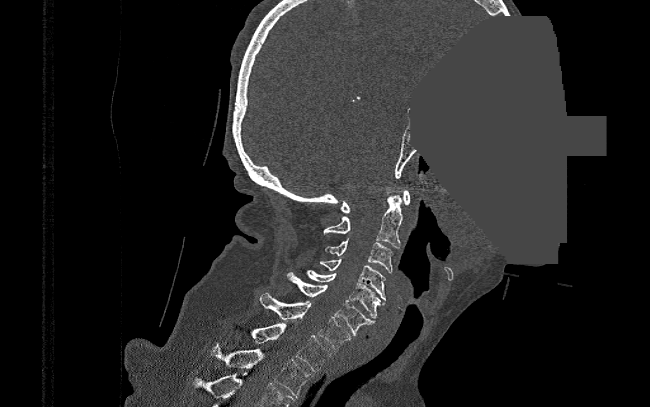
CT · sagittal view · 650x407 px · a portion of the image is blanked out (constant pixel value)

Each box given as x1,y1,x2,y2.
T2: x1=211, y1=346, x2=311, y2=397
T1: x1=249, y1=323, x2=330, y2=371
C7: x1=260, y1=292, x2=351, y2=350
C6: x1=287, y1=272, x2=376, y2=336
C5: x1=306, y1=270, x2=380, y2=318
C4: x1=320, y1=258, x2=385, y2=305
C3: x1=324, y1=239, x2=393, y2=273
C2: x1=324, y1=195, x2=403, y2=248
C1: x1=339, y1=190, x2=410, y2=213